CT, spine · 218 mm wide · sagittal view · bone-window reconstruction · 18 vertebrae labeled in this scan
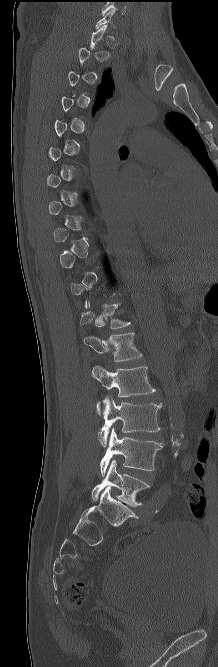
Each box is [x1, y1, x2, y2] in pixels: top-left corner, then bottom-right corner.
A vertebra gets a box only on the slices from the first to the last where its cross-section is at least a third of its largest; on a slice outside that range it gets none.
{"vertebrae":{"T12":[79,301,130,328],"L1":[84,332,142,361],"L2":[91,366,155,414],"L3":[98,396,161,446],"L4":[100,428,162,476],"L5":[91,459,149,506]}}